CT spine — sagittal view — bone window — 287x270 px — 9 vertebrae labeled in this scan — a region is blanked to uniform black, ending in a straight edge
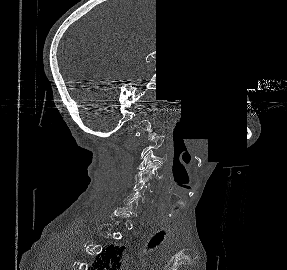 Boxes are given in columns x1, y1, x2, y2, the pixel coordinates of their top-left and bottom-right corners.
A vertebra gets a box only on the slices from the first to the last where its cross-section is at least a third of its largest; on a slice outside that range it gets none.
| vertebra | x1 | y1 | x2 | y2 |
|---|---|---|---|---|
| C6 | 123 | 188 | 145 | 204 |
| C5 | 133 | 179 | 156 | 191 |
| C4 | 134 | 162 | 162 | 182 |
| C3 | 137 | 150 | 166 | 169 |
| C1 | 130 | 120 | 156 | 139 |